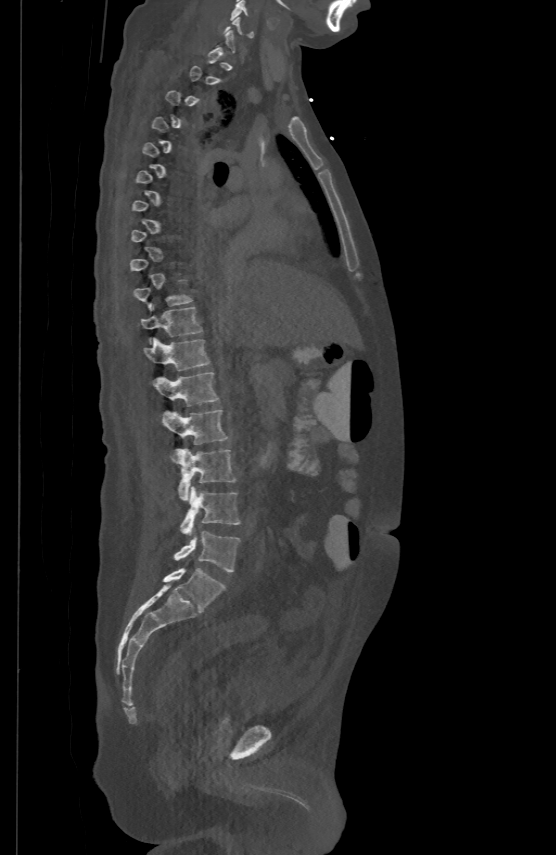 CT, spine. sagittal reformat

Boxes below are [x1, y1, x2, y2] in pixels.
A vertebra is boxed only from the first to the last slice where its cross-section is at least a third of its largest; slices outside that range leave it without a box.
{"vertebrae":{"C5":[230,0,249,20],"T10":[133,280,192,309],"T11":[141,306,202,341],"T12":[144,336,211,370],"L1":[153,371,219,405],"L2":[162,409,229,444],"L3":[177,448,236,500],"L4":[180,486,240,534],"L5":[174,531,239,572]}}